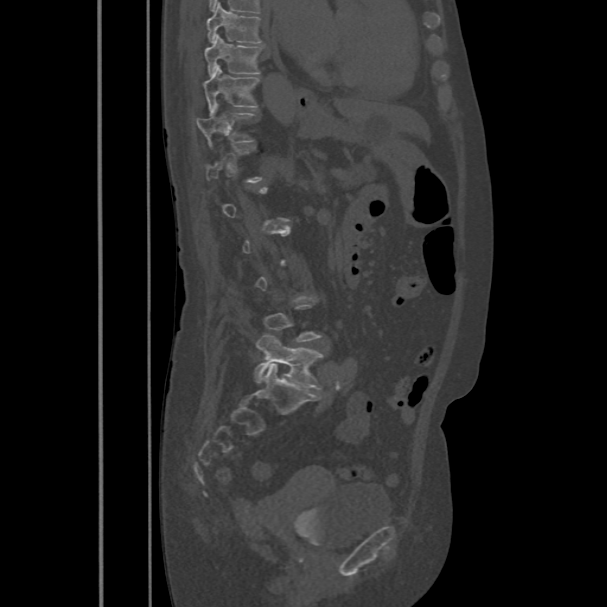 CT — image width 486 mm — sagittal reformat — Bone window (WL 400, WW 1800)

Box values are [left, top, right, bottom] in pixels.
Each vertebra is boxed only on the slices from the first to the last where its cross-section reaches a third of its largest, so a slice outside that range leaves it unboxed.
{"vertebrae":{"T8":[206,3,261,42],"T9":[204,35,261,76],"T10":[203,66,259,112],"T11":[196,112,254,145],"L5":[254,333,323,389]}}